Computed tomography of the spine — Sagittal slice 274/556 — Bone window (WL 400, WW 1800) — 702x1284 px — the image spans 421 mm across
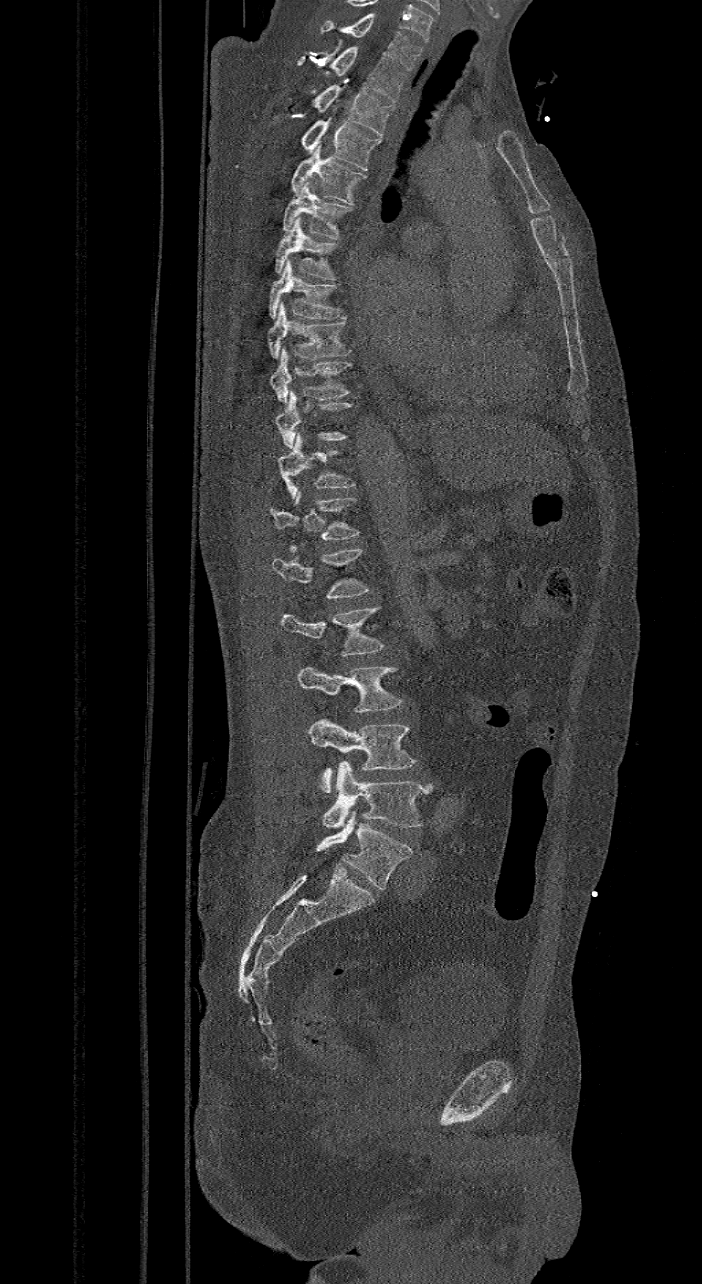

Each box is [x1, y1, x2, y2] in pixels: top-left corner, then bottom-right corner.
These labels give the spine a sixth lumbar vertebra, L6, below L5.
{"vertebrae":{"C7":[319,15,422,69],"T1":[296,45,406,102],"T2":[314,84,394,135],"T3":[301,117,380,170],"T4":[291,144,368,205],"T5":[281,179,353,239],"T6":[274,217,336,279],"T7":[269,260,347,319],"T8":[267,301,350,358],"T9":[269,347,350,402],"T10":[275,391,350,448],"T11":[277,432,355,498],"T12":[270,490,359,552],"L1":[271,547,369,597],"L2":[280,607,384,655],"L3":[296,666,402,712],"L4":[307,719,416,793],"L5":[322,761,432,828],"L6":[317,809,412,890]}}